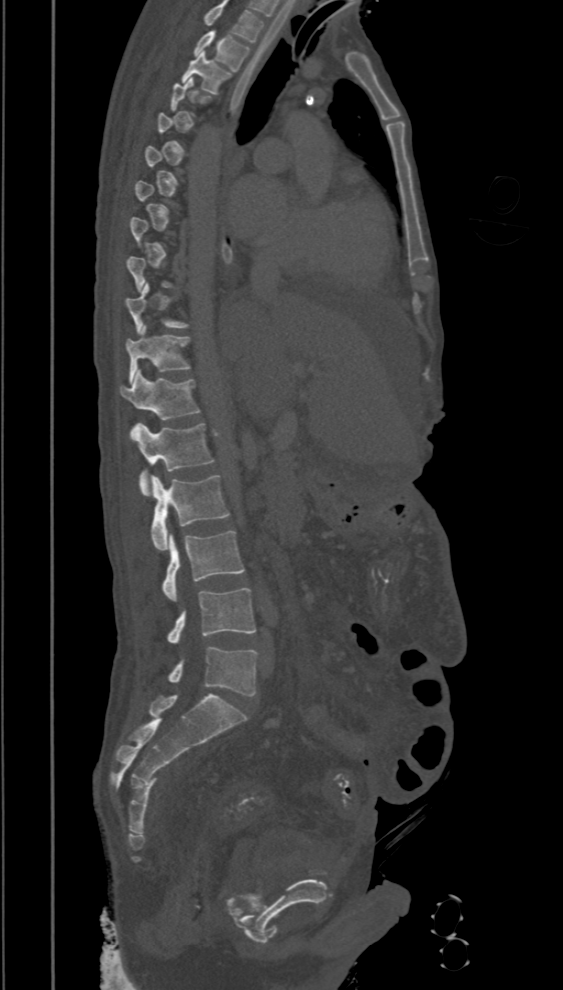
CT spine · sagittal view · 394 mm wide · 563x990 px

A vertebra gets a box only on the slices from the first to the last where its cross-section is at least a third of its largest; on a slice outside that range it gets none.
In this scan, the topmost labeled vertebra is T2 and the lowest is L5.
<vertebrae><v name="L5" x1="168" y1="647" x2="257" y2="696"/><v name="L4" x1="167" y1="587" x2="256" y2="644"/><v name="L3" x1="163" y1="530" x2="244" y2="602"/><v name="L2" x1="150" y1="475" x2="229" y2="551"/><v name="L1" x1="130" y1="423" x2="214" y2="495"/><v name="T12" x1="120" y1="370" x2="199" y2="420"/><v name="T11" x1="125" y1="325" x2="190" y2="382"/><v name="T10" x1="125" y1="282" x2="187" y2="334"/><v name="T3" x1="181" y1="52" x2="230" y2="94"/><v name="T2" x1="195" y1="30" x2="249" y2="70"/></vertebrae>